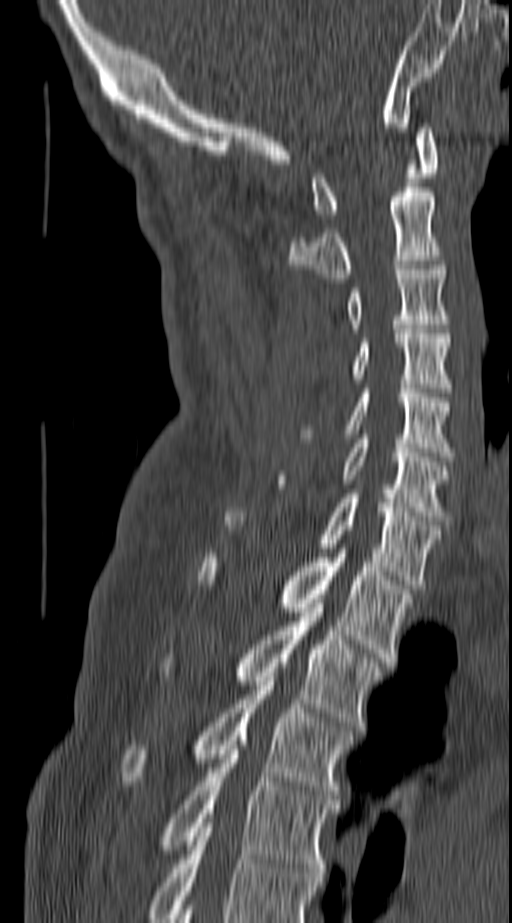
Spine CT — sagittal view — bone-window reconstruction — image 140 mm wide
Box edges are left/top/right/bottom in pixels.
In this scan, the topmost labeled vertebra is C1 and the lowest is T4.
Vertebra bounding boxes:
- C1: left=312, top=123, right=436, bottom=214
- C2: left=287, top=187, right=443, bottom=282
- C3: left=345, top=265, right=450, bottom=328
- C4: left=349, top=329, right=450, bottom=392
- C5: left=299, top=389, right=454, bottom=456
- C6: left=279, top=434, right=450, bottom=525
- C7: left=224, top=494, right=439, bottom=589
- T1: left=199, top=549, right=414, bottom=662
- T2: left=162, top=603, right=381, bottom=730
- T3: left=122, top=677, right=351, bottom=799
- T4: left=159, top=741, right=337, bottom=877